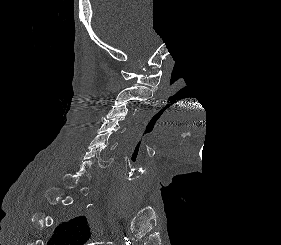

CT, spine; 281 mm wide; sagittal view; a region of this slice is masked with a uniform fill. Boxes: x1 y1 x2 y2 (pixel coords, space-separated).
Each vertebra is boxed only on the slices from the first to the last where its cross-section reaches a third of its largest, so a slice outside that range leaves it unboxed.
Vertebra bounding boxes:
- C1: 121 68 161 91
- C2: 114 85 152 105
- C3: 106 101 137 118
- C4: 97 116 126 133
- C5: 88 131 118 149
- C6: 81 145 114 167